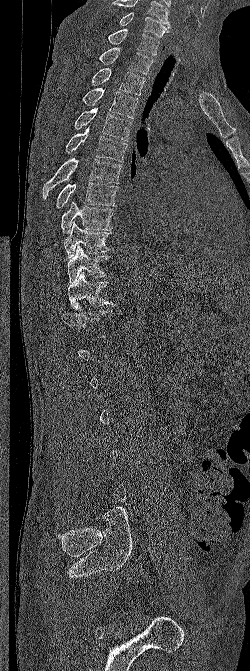
Spine CT — sagittal view — bone-window reconstruction
A vertebra gets a box only on the slices from the first to the last where its cross-section is at least a third of its largest; on a slice outside that range it gets none.
Labels in this scan begin with C6 at the top and end with L5 at the bottom.
<vertebrae><v name="T11" x1="67" y1="272" x2="114" y2="309"/><v name="T10" x1="67" y1="245" x2="112" y2="283"/><v name="T9" x1="64" y1="221" x2="113" y2="258"/><v name="T8" x1="61" y1="201" x2="115" y2="233"/><v name="T7" x1="56" y1="182" x2="119" y2="208"/><v name="T6" x1="43" y1="158" x2="122" y2="199"/><v name="T5" x1="66" y1="126" x2="127" y2="162"/><v name="T4" x1="74" y1="106" x2="132" y2="141"/><v name="T3" x1="82" y1="88" x2="138" y2="118"/><v name="T2" x1="91" y1="68" x2="145" y2="95"/><v name="T1" x1="99" y1="47" x2="153" y2="74"/><v name="C7" x1="108" y1="29" x2="159" y2="55"/><v name="C6" x1="119" y1="12" x2="170" y2="37"/></vertebrae>